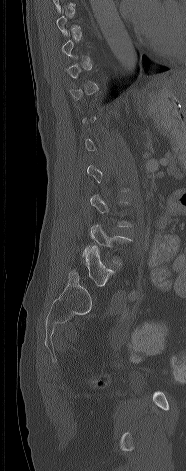

CT, spine; sagittal view; the image spans 186 mm across; bone window; 186x471 px

Boxes are given in columns x1, y1, x2, y2, the pixel coordinates of their top-left and bottom-right corners.
Each vertebra is boxed only on the slices from the first to the last where its cross-section reaches a third of its largest, so a slice outside that range leaves it unboxed.
| vertebra | x1 | y1 | x2 | y2 |
|---|---|---|---|---|
| L4 | 82 | 224 | 132 | 264 |
| L5 | 68 | 246 | 114 | 286 |